CT spine. sagittal reformat. Bone window (WL 400, WW 1800). 180 mm image width. 512x747 px
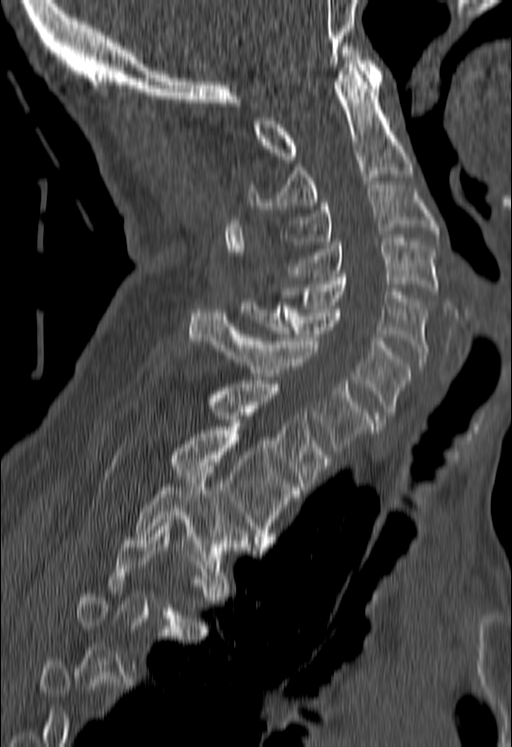
Each vertebra maps to its box as [x1, y1, x2, y2], the pixel coordinates of its top-left and bottom-right corners.
A vertebra is boxed only from the first to the last slice where its cross-section is at least a third of its largest; slices outside that range leave it without a box.
{"vertebrae":{"C1":[255,46,382,159],"C2":[248,64,412,209],"C3":[280,185,438,244],"C4":[289,238,438,294],"C5":[283,274,427,365],"C6":[241,302,410,422],"C7":[189,309,373,454],"T1":[203,380,330,490],"T2":[169,427,299,547],"T3":[135,466,253,568]}}